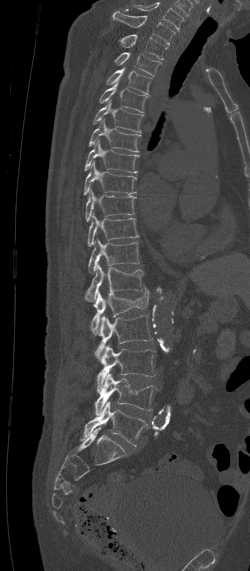

CT, spine; sagittal view; image width 250 mm; 250x571 px

Each box is [x1, y1, x2, y2] in pixels: top-left corner, then bottom-right corner.
The highest labeled vertebra in this scan is C7; the lowest is L5.
{"vertebrae":{"L5":[80,401,147,445],"L4":[94,372,158,415],"L3":[97,346,156,391],"L2":[94,312,152,360],"L1":[91,287,149,335],"T12":[84,265,144,301],"T11":[88,239,139,274],"T10":[87,215,138,246],"T9":[85,190,135,221],"T8":[84,161,137,195],"T7":[84,139,139,173],"T6":[89,118,141,152],"T5":[92,98,143,132],"T4":[99,80,147,112],"T3":[106,67,151,96],"T2":[115,52,162,76],"T1":[103,33,167,59],"C7":[112,11,175,45]}}